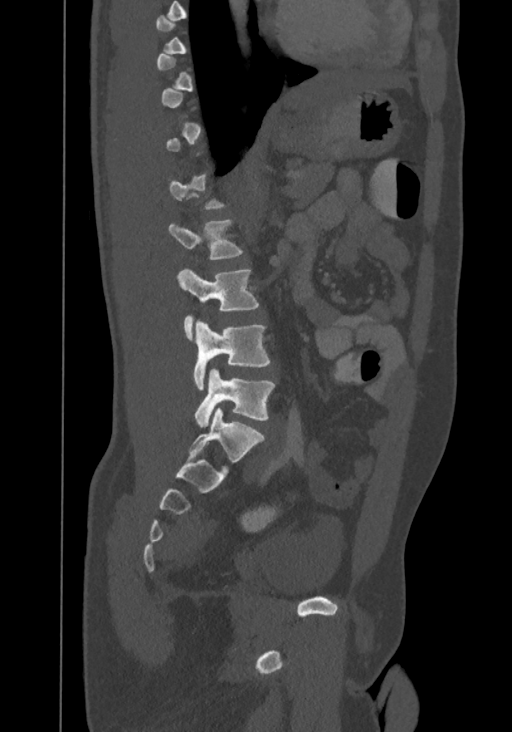
Spine CT · sagittal view
Each box given as x1,y1,x2,y2.
Not every vertebra on this slice has a box: a vertebra is boxed only from the first to the last slice where its cross-section is at least a third of its largest, and this slice is outside that range for at least one of them.
In this scan, the topmost labeled vertebra is T8 and the lowest is L4.
Vertebra bounding boxes:
- L1: x1=169, y1=218, x2=243, y2=260
- L2: x1=177, y1=267, x2=258, y2=339
- L3: x1=194, y1=320, x2=269, y2=389
- L4: x1=195, y1=368, x2=275, y2=427